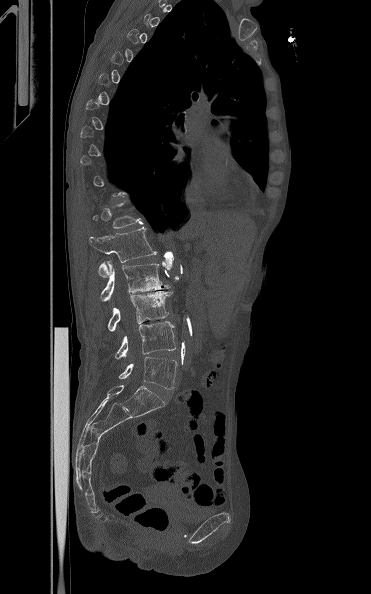 CT. sagittal reformat. image width 371 mm. bone-window reconstruction. Box edges are left/top/right/bottom in pixels.
Each vertebra is boxed only on the slices from the first to the last where its cross-section reaches a third of its largest, so a slice outside that range leaves it unboxed.
Vertebra bounding boxes:
- L1: left=89, top=227, right=157, bottom=277
- L2: left=100, top=261, right=170, bottom=301
- L3: left=107, top=291, right=173, bottom=331
- L4: left=115, top=321, right=175, bottom=359
- L5: left=118, top=356, right=177, bottom=389